CT, spine · sagittal view · bone window · scan covers 5 annotated vertebrae
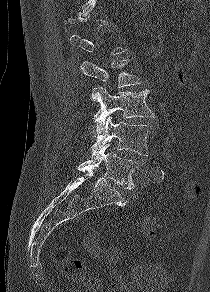

Boxes below are [x1, y1, x2, y2] in pixels.
Not every vertebra on this slice has a box: a vertebra is boxed only from the first to the last slice where its cross-section is at least a third of its largest, and this slice is outside that range for at least one of them.
{"vertebrae":{"L2":[81,59,141,100],"L3":[92,87,155,133],"L4":[91,115,151,157],"L5":[77,143,136,189]}}